CT spine. sagittal view
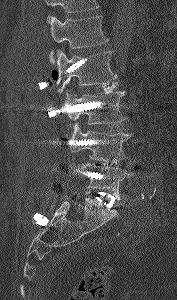

Each box given as x1,y1,x2,y2. Where the top of the scan cuts through a vertebra, that vertebra gets no label or box. 5 vertebrae labeled — L1 at x1=49, y1=16, x2=108, y2=64; L2 at x1=54, y1=49, x2=117, y2=93; L3 at x1=63, y1=90, x2=126, y2=124; L4 at x1=67, y1=122, x2=132, y2=163; L5 at x1=74, y1=163, x2=132, y2=199.